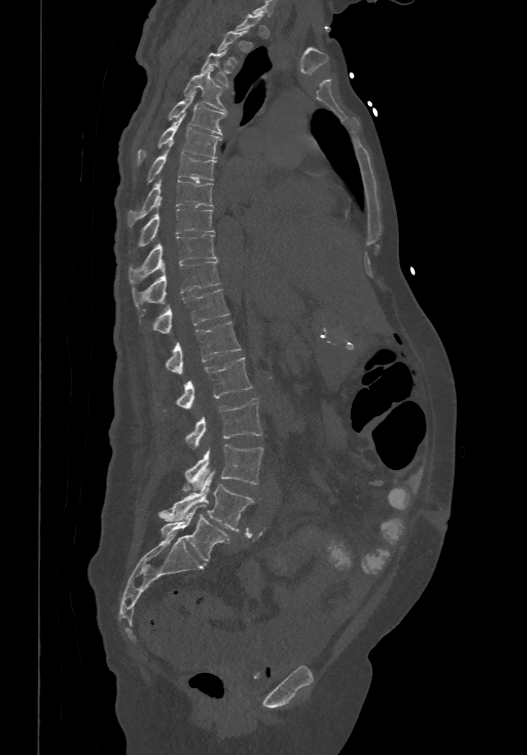 Spine CT — sagittal reformat — image 474 mm wide — bone window
Boxes are given in columns x1, y1, x2, y2, the pixel coordinates of their top-left and bottom-right corners.
Each vertebra is boxed only on the slices from the first to the last where its cross-section reaches a third of its largest, so a slice outside that range leaves it unboxed.
In these labels the spine has an L6, a sixth lumbar vertebra below L5.
| vertebra | x1 | y1 | x2 | y2 |
|---|---|---|---|---|
| L6 | 160 | 504 | 230 | 561 |
| L5 | 158 | 472 | 253 | 531 |
| L4 | 183 | 444 | 263 | 491 |
| L3 | 185 | 398 | 262 | 448 |
| L2 | 177 | 356 | 252 | 408 |
| L1 | 166 | 321 | 241 | 373 |
| T12 | 152 | 287 | 229 | 332 |
| T11 | 132 | 260 | 220 | 307 |
| T10 | 129 | 234 | 217 | 284 |
| T9 | 138 | 198 | 213 | 245 |
| T8 | 128 | 176 | 213 | 225 |
| T7 | 147 | 150 | 216 | 182 |
| T6 | 137 | 113 | 221 | 164 |
| T5 | 169 | 91 | 225 | 134 |
| T4 | 183 | 67 | 226 | 111 |